Computed tomography of the spine — sagittal view — Bone window (WL 400, WW 1800) — 512x659 px
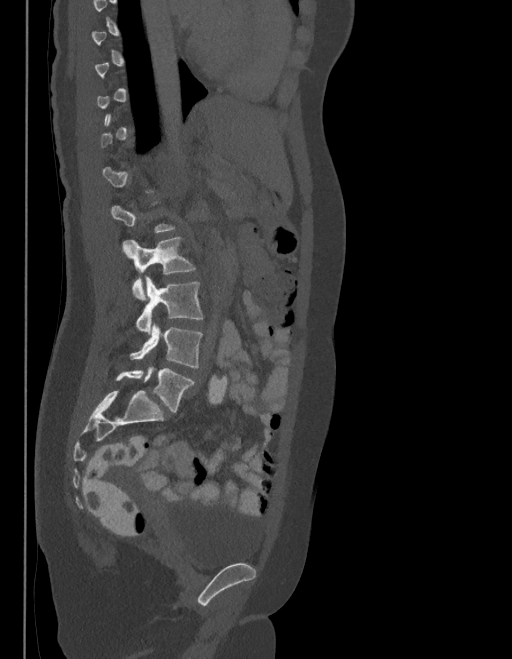

Boxes: x1:y1:x2:y2 in pixels.
A vertebra is boxed only from the first to the last slice where its cross-section is at least a third of its largest; slices outside that range leave it without a box.
The labels name a sixth lumbar vertebra for this spine: L6, after L5.
Vertebra bounding boxes:
- L3: 123:237:195:300
- L4: 136:277:202:333
- L5: 129:325:202:368
- L6: 115:367:193:413